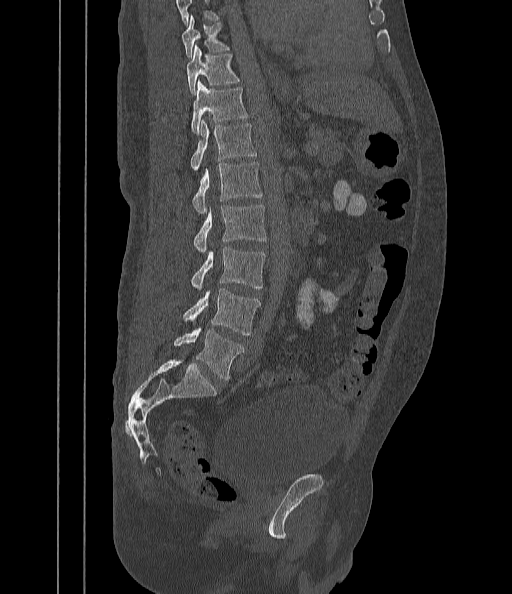
Spine CT · sagittal view · bone-window reconstruction

Each vertebra maps to its box as [x1, y1, x2, y2], the pixel coordinates of its top-left and bottom-right corners.
No box is given to a vertebra that the top edge of the scan cuts off.
{"vertebrae":{"T9":[182,16,228,58],"T10":[186,45,239,95],"T11":[191,80,247,133],"T12":[191,120,256,171],"L1":[192,162,262,214],"L2":[193,205,267,253],"L3":[191,247,265,291],"L4":[183,288,261,334],"L5":[174,327,243,380]}}